Spine computed tomography · sagittal reformat · a region of this slice is masked with a uniform fill
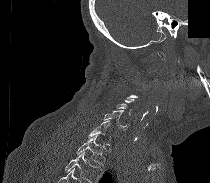 Boxes: x1:y1:x2:y2 in pixels. Not every vertebra on this slice has a box: a vertebra is boxed only from the first to the last slice where its cross-section is at least a third of its largest, and this slice is outside that range for at least one of them. No box is given to a vertebra that the bottom edge of the scan cuts off. The labeled vertebrae in this slice are: T1 at 76:135:105:165, C7 at 87:120:111:139, C6 at 104:110:130:129.